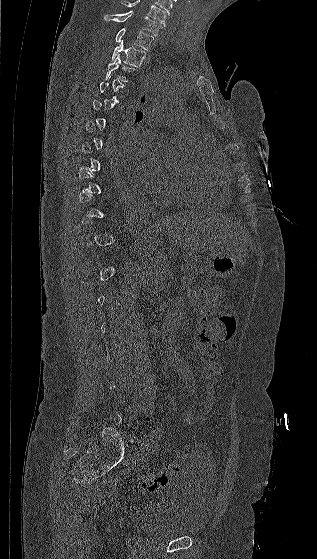
Spine CT — sagittal view. Boxes are (x1, y1, x2, y2) in pixels.
Not every vertebra on this slice has a box: a vertebra is boxed only from the first to the last slice where its cross-section is at least a third of its largest, and this slice is outside that range for at least one of them.
This scan's labels start at C7 at the top and end at L5 at the bottom.
Vertebra bounding boxes:
- C7: (104, 11, 163, 35)
- T1: (115, 28, 154, 50)
- T2: (111, 41, 146, 66)
- T3: (104, 54, 137, 82)